Spine CT. the image is 221 mm wide. sagittal plane, index 23. 221x243 px. scan covers 9 annotated vertebrae. a portion of the image is blanked out (constant pixel value)
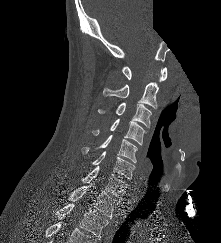 <vertebrae><v name="T2" x1="56" y1="203" x2="108" y2="239"/><v name="T1" x1="68" y1="186" x2="121" y2="218"/><v name="C7" x1="81" y1="165" x2="130" y2="199"/><v name="C6" x1="92" y1="151" x2="135" y2="179"/><v name="C5" x1="81" y1="135" x2="137" y2="162"/><v name="C4" x1="92" y1="119" x2="146" y2="145"/><v name="C3" x1="97" y1="102" x2="151" y2="127"/><v name="C2" x1="103" y1="82" x2="158" y2="108"/><v name="C1" x1="122" y1="66" x2="167" y2="81"/></vertebrae>